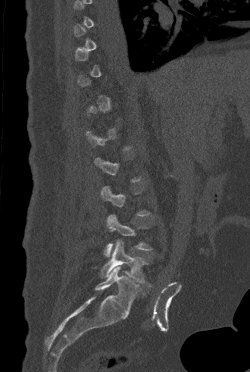
CT, spine — sagittal view — W/L 1800/400 HU

Each vertebra maps to its box as [x1, y1, x2, y2], the pixel coordinates of its top-left and bottom-right corners.
Each vertebra is boxed only on the slices from the first to the last where its cross-section reaches a third of its largest, so a slice outside that range leaves it unboxed.
{"vertebrae":{"L5":[101,240,148,282],"L4":[104,215,152,256]}}